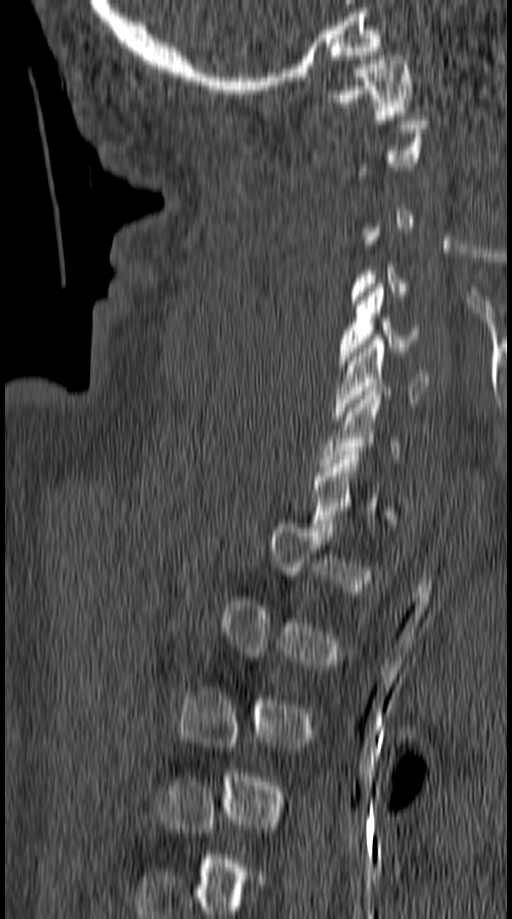

Spine CT · sagittal view · W/L 1800/400 HU
Box values are [left, top, right, bottom] in pixels.
Not every vertebra on this slice has a box: a vertebra is boxed only from the first to the last slice where its cross-section is at least a third of its largest, and this slice is outside that range for at least one of them.
{"vertebrae":{"C1":[328,56,410,119],"C5":[338,283,420,364],"C6":[333,339,430,420]}}